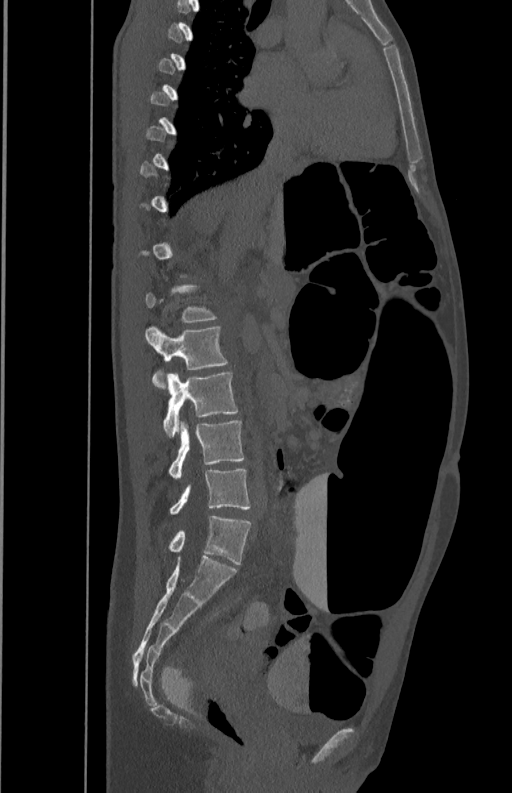 CT spine — sagittal view — bone window — 512x793 px
Boxes below are [x1, y1, x2, y2] in pixels.
Each vertebra is boxed only on the slices from the first to the last where its cross-section reaches a third of its largest, so a slice outside that range leaves it unboxed.
{"vertebrae":{"L2":[145,327,227,387],"L3":[164,373,237,436],"L4":[169,421,245,478],"L5":[169,467,250,514]}}